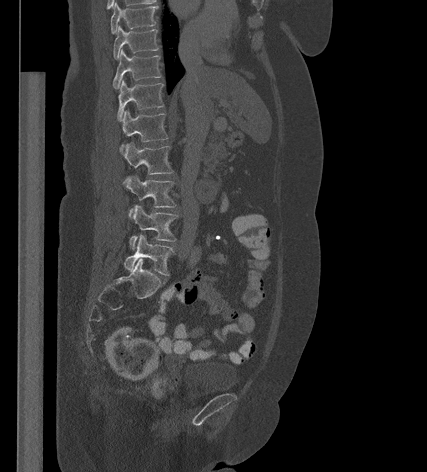 Spine CT. sagittal view. W/L 1800/400 HU
Each box given as x1,y1,x2,y2.
| vertebra | x1 | y1 | x2 | y2 |
|---|---|---|---|---|
| T9 | 110 | 2 | 157 | 33 |
| T10 | 113 | 26 | 158 | 59 |
| T11 | 113 | 49 | 161 | 88 |
| T12 | 117 | 80 | 163 | 120 |
| L1 | 121 | 110 | 168 | 152 |
| L2 | 123 | 143 | 172 | 174 |
| L3 | 123 | 176 | 175 | 216 |
| L4 | 129 | 205 | 177 | 248 |
| L5 | 124 | 234 | 174 | 275 |